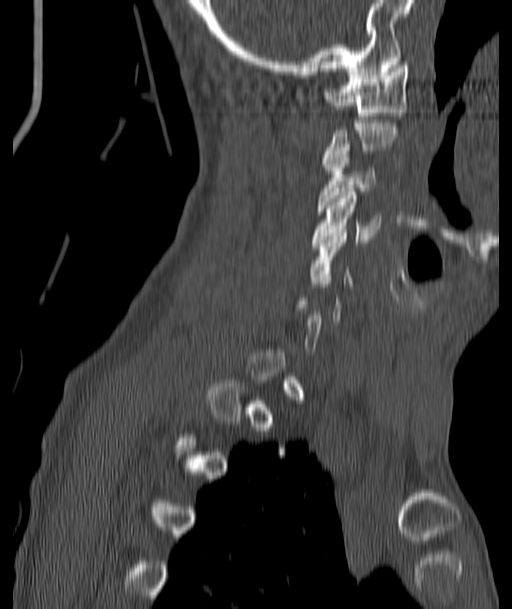

Spine CT. sagittal reformat

Each vertebra is boxed only on the slices from the first to the last where its cross-section reaches a third of its largest, so a slice outside that range leaves it unboxed.
<vertebrae><v name="C1" x1="324" y1="62" x2="408" y2="122"/><v name="C3" x1="318" y1="147" x2="375" y2="211"/><v name="C4" x1="313" y1="192" x2="380" y2="245"/></vertebrae>